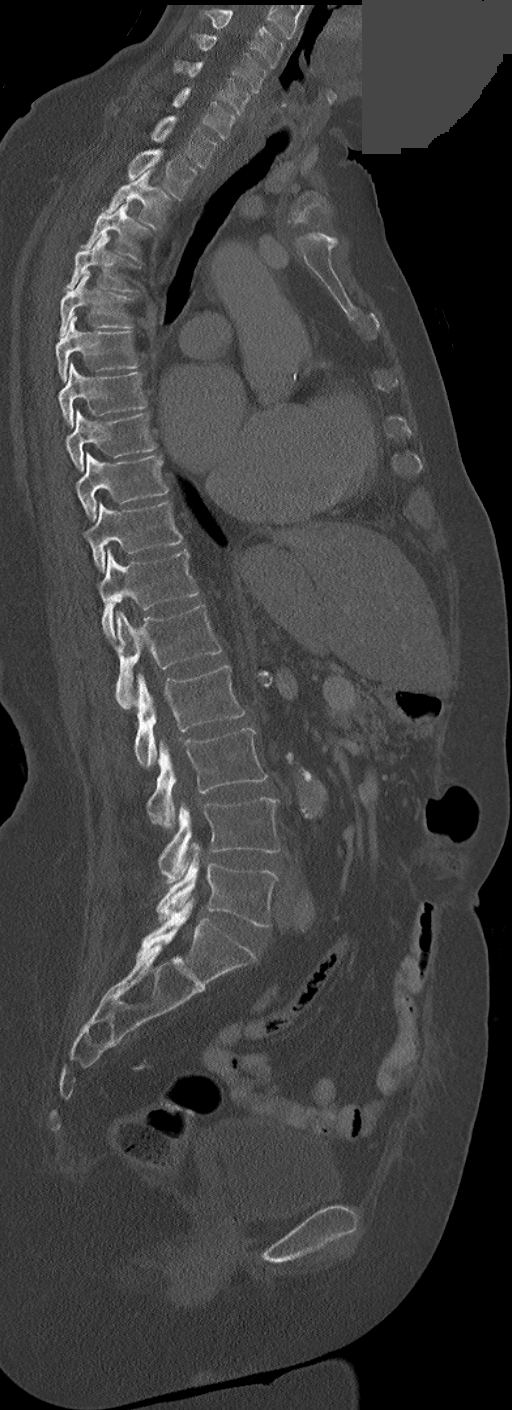
Computed tomography of the spine; 252 mm image width; sagittal reformat; some of the image was removed or blocked out with constant pixels
Boxes: x1 y1 x2 y2 (pixel coords, space-separated).
In these labels the spine has no T12: the thoracic vertebrae end at T11, and L1 comes next.
Vertebra bounding boxes:
- C3: 202 9 284 69
- C4: 196 33 266 93
- C5: 175 59 249 115
- C6: 173 88 235 140
- C7: 151 116 217 168
- T1: 128 149 197 199
- T2: 106 169 171 229
- T3: 84 204 146 260
- T4: 67 234 130 292
- T5: 59 275 130 336
- T6: 55 316 138 381
- T7: 57 362 146 427
- T8: 66 410 156 471
- T9: 76 452 168 520
- T10: 84 502 182 570
- T11: 98 549 199 640
- L1: 116 604 221 709
- L2: 135 665 243 767
- L3: 147 728 268 830
- L4: 158 797 280 885
- L5: 157 843 276 926